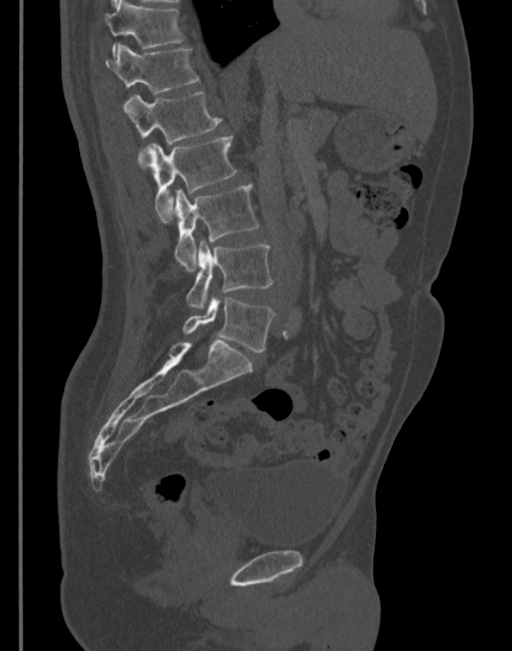

Spine CT. sagittal reformat
Boxes below are [x1, y1, x2, y2] in pixels.
{"vertebrae":{"L5":[182,298,275,352],"L4":[185,242,273,309],"L3":[175,185,258,270],"L2":[148,135,238,220],"L1":[123,91,221,168],"T12":[105,44,199,93],"T11":[105,0,184,57]}}